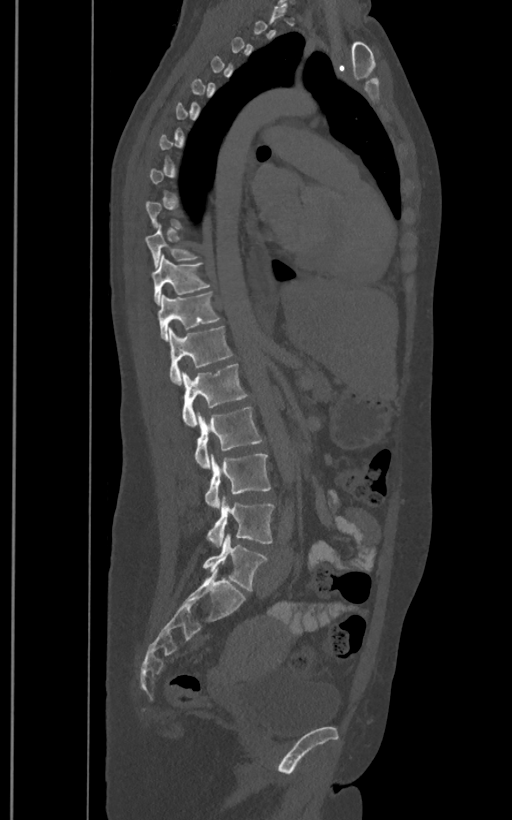 Spine CT. sagittal reformat. Bounding boxes as [x1, y1, x2, y2] in pixel coordinates. A vertebra is boxed only from the first to the last slice where its cross-section is at least a third of its largest; slices outside that range leave it without a box. In these labels the spine has an L6, a sixth lumbar vertebra below L5. Vertebrae labeled: T10 at [146, 223, 199, 267], T11 at [152, 255, 210, 304], T12 at [159, 291, 220, 339], L1 at [169, 326, 233, 383], L2 at [182, 363, 248, 426], L3 at [194, 407, 264, 468], L4 at [205, 453, 270, 507], L5 at [207, 497, 274, 545], L6 at [202, 533, 268, 590].